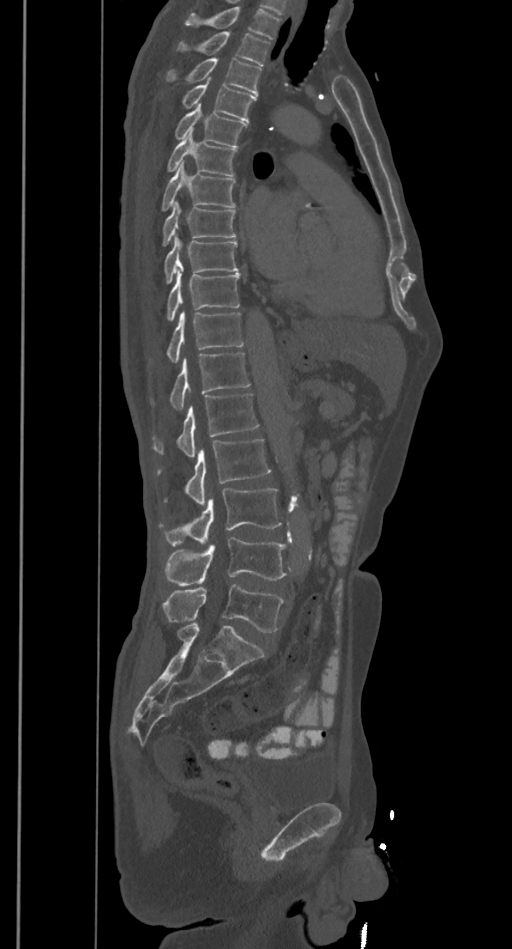
CT spine · sagittal reformat · 512x949 px
Boxes below are [x1, y1, x2, y2] in pixels.
Where the top of the scan cuts through a vertebra, that vertebra gets no label or box.
{"vertebrae":{"T2":[175,31,270,66],"T3":[165,59,261,96],"T4":[181,78,257,121],"T5":[174,103,248,147],"T6":[166,133,237,176],"T7":[161,162,236,211],"T8":[162,202,236,246],"T9":[163,236,238,285],"T10":[166,272,240,322],"T11":[166,312,244,362],"T12":[150,352,250,410],"L1":[151,394,258,457],"L2":[157,438,271,503],"L3":[158,487,281,545],"L4":[165,537,286,585],"L5":[162,583,285,632]}}